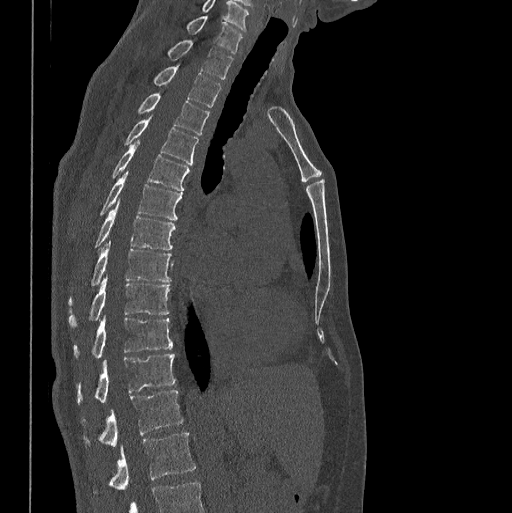 CT. sagittal view. bone-window reconstruction
Bounding boxes as [x1, y1, x2, y2] in pixel coordinates.
Labels in this scan begin with C7 at the top and end with L1 at the bottom.
L1: [91, 432, 196, 493]
T12: [81, 389, 183, 446]
T11: [77, 354, 175, 404]
T10: [73, 317, 173, 359]
T9: [68, 277, 170, 328]
T8: [69, 243, 171, 303]
T7: [94, 201, 175, 249]
T6: [99, 173, 182, 220]
T5: [110, 141, 189, 190]
T4: [123, 119, 198, 165]
T3: [136, 93, 209, 134]
T2: [153, 66, 220, 107]
T1: [167, 39, 232, 79]
C7: [185, 15, 242, 52]